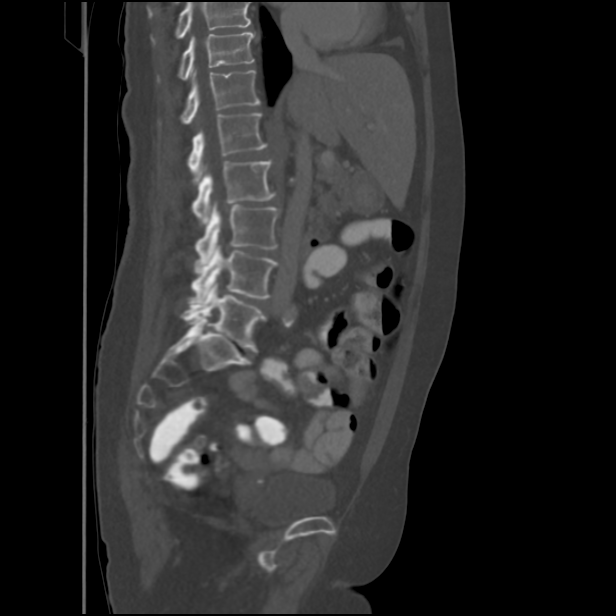

Spine computed tomography. sagittal reformat. W/L 1800/400 HU. 616x616 px
Coordinates as <box>x1,y1,x2,y2</box>.
No box is given to a vertebra that the top edge of the scan cuts off.
Vertebra bounding boxes:
- T11: <box>158,32,254,82</box>
- T12: <box>158,70,259,125</box>
- L1: <box>188,113,266,172</box>
- L2: <box>192,159,275,224</box>
- L3: <box>195,203,280,271</box>
- L4: <box>191,245,279,302</box>
- L5: <box>181,281,266,351</box>